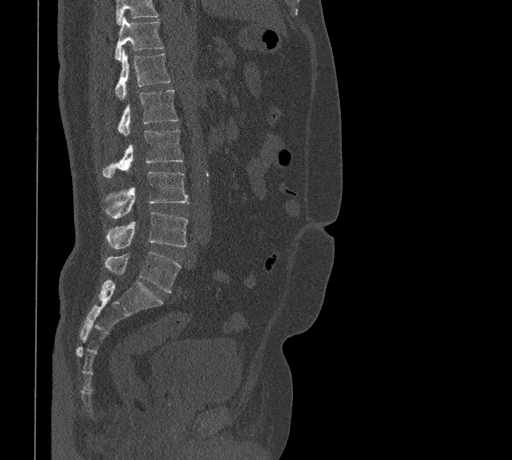 CT; sagittal reformat; image width 461 mm

Each box is [x1, y1, x2, y2] in pixels: top-left corner, then bottom-right corner.
A vertebra cut off by the top edge of the scan is not labeled and has no box.
{"vertebrae":{"T11":[114,17,164,60],"T12":[114,49,171,100],"L1":[118,89,177,136],"L2":[102,130,182,178],"L3":[105,171,189,218],"L4":[107,211,188,249],"L5":[104,252,181,292]}}